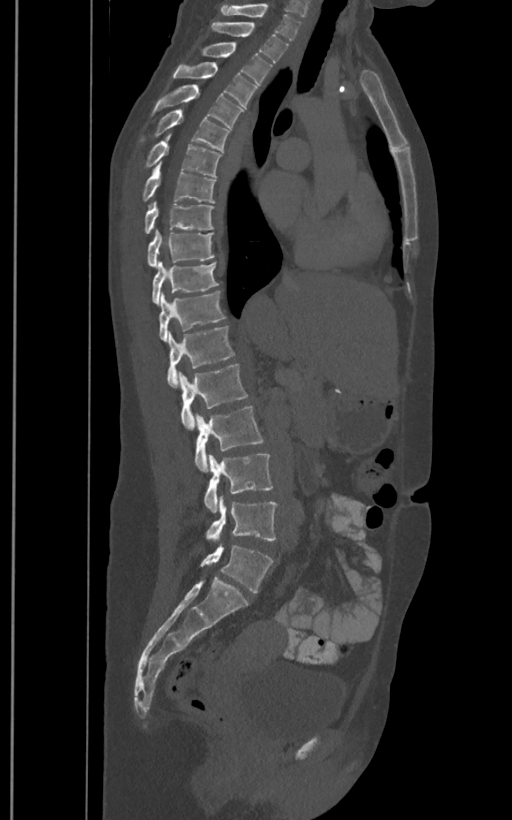

CT — sagittal view — W/L 1800/400 HU — 400 mm image width — 512x820 px

Each box given as x1,y1,x2,y2.
The labels name a sixth lumbar vertebra for this spine: L6, after L5.
T1: x1=220, y1=3, x2=301, y2=39
T2: x1=211, y1=23, x2=288, y2=62
T3: x1=201, y1=43, x2=271, y2=90
T4: x1=173, y1=62, x2=257, y2=107
T5: x1=152, y1=84, x2=243, y2=127
T6: x1=156, y1=108, x2=229, y2=151
T7: x1=146, y1=132, x2=220, y2=176
T8: x1=143, y1=162, x2=215, y2=203
T9: x1=144, y1=200, x2=214, y2=233
T10: x1=147, y1=229, x2=214, y2=267
T11: x1=152, y1=262, x2=218, y2=304
T12: x1=159, y1=291, x2=225, y2=342
L1: x1=168, y1=326, x2=234, y2=387
L2: x1=179, y1=363, x2=247, y2=430
L3: x1=194, y1=406, x2=264, y2=471
L4: x1=203, y1=453, x2=273, y2=512
L5: x1=206, y1=497, x2=277, y2=543
L6: x1=200, y1=543, x2=273, y2=592